CT spine — sagittal reformat — Bone window (WL 400, WW 1800)
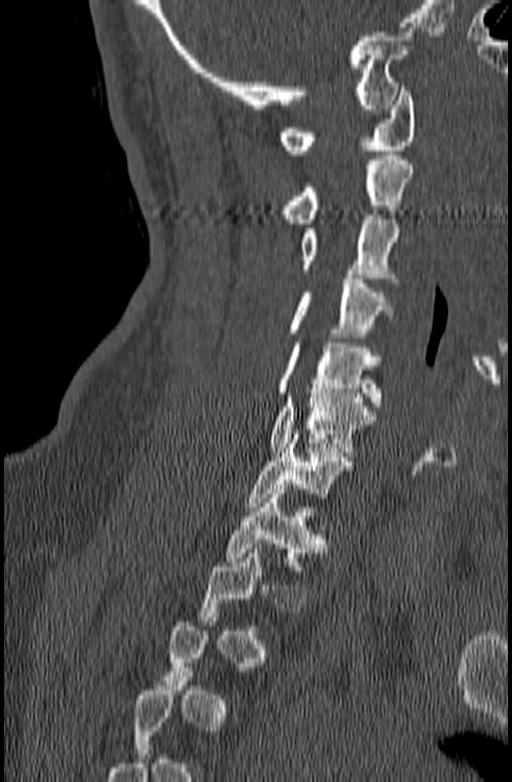 Each box given as x1,y1,x2,y2.
Not every vertebra on this slice has a box: a vertebra is boxed only from the first to the last slice where its cross-section is at least a third of its largest, and this slice is outside that range for at least one of them.
T1: x1=225, y1=489, x2=326, y2=570
C7: x1=244, y1=434, x2=351, y2=511
C6: x1=268, y1=389, x2=375, y2=456
C5: x1=276, y1=338, x2=382, y2=406
C4: x1=287, y1=274, x2=395, y2=337
C3: x1=301, y1=215, x2=399, y2=282
C2: x1=283, y1=155, x2=414, y2=223
C1: x1=280, y1=87, x2=416, y2=154